CT, spine — sagittal view — 512x759 px — scan covers 17 annotated vertebrae
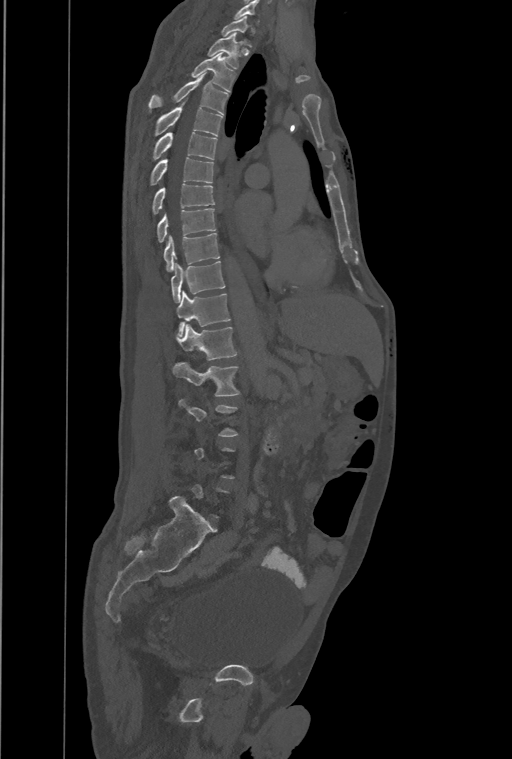
In the table, x1 and y1 are a box's top-left corner and x2 and y2 its bottom-right corner, in pixels.
A vertebra gets a box only on the slices from the first to the last where its cross-section is at least a third of its largest; on a slice outside that range it gets none.
The labels name an extra thoracic vertebra here, T13, which comes after T12 and before L1.
| vertebra | x1 | y1 | x2 | y2 |
|---|---|---|---|---|
| T2 | 207 | 32 | 238 | 68 |
| T3 | 192 | 54 | 234 | 91 |
| T4 | 148 | 74 | 227 | 114 |
| T5 | 154 | 102 | 222 | 136 |
| T6 | 153 | 132 | 216 | 159 |
| T7 | 150 | 157 | 213 | 185 |
| T8 | 152 | 184 | 214 | 214 |
| T9 | 157 | 208 | 215 | 243 |
| T10 | 164 | 234 | 219 | 271 |
| T11 | 171 | 261 | 225 | 303 |
| T12 | 176 | 291 | 229 | 336 |
| T13 | 176 | 325 | 236 | 359 |
| L1 | 173 | 362 | 239 | 396 |